Spine CT · Sagittal slice 257/512
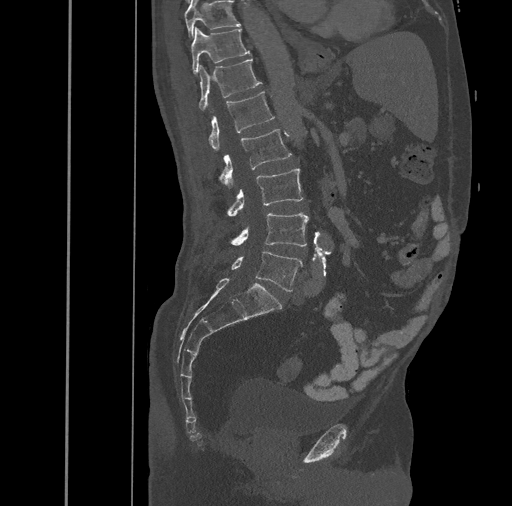
Bounding boxes as [x1, y1, x2, y2] in pixel coordinates.
L5: [231, 251, 302, 291]
L4: [231, 213, 308, 246]
L3: [227, 168, 303, 216]
L2: [220, 128, 292, 188]
L1: [209, 92, 274, 151]
T12: [199, 58, 262, 110]
T11: [190, 27, 251, 74]
T10: [184, 0, 240, 36]